CT; 391 mm wide; sagittal reformat; 512x774 px; scan covers 17 annotated vertebrae
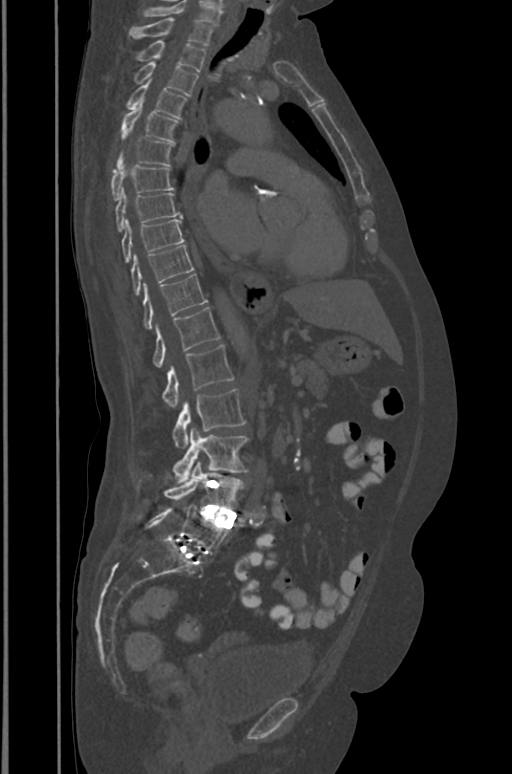 Each box is [x1, y1, x2, y2] in pixels: top-left corner, then bottom-right corner.
In this scan, the topmost labeled vertebra is T1 and the lowest is L5.
{"vertebrae":{"T1":[130,18,212,45],"T2":[136,40,206,71],"T3":[134,62,198,95],"T4":[126,81,186,119],"T5":[122,103,178,142],"T6":[116,137,174,166],"T7":[111,165,173,200],"T8":[115,188,182,231],"T9":[122,219,184,262],"T10":[131,245,194,295],"T11":[143,274,207,328],"T12":[153,307,219,367],"L1":[162,344,233,407],"L2":[173,389,245,448],"L3":[173,428,248,483],"L4":[164,462,243,510],"L5":[139,506,228,554]}}